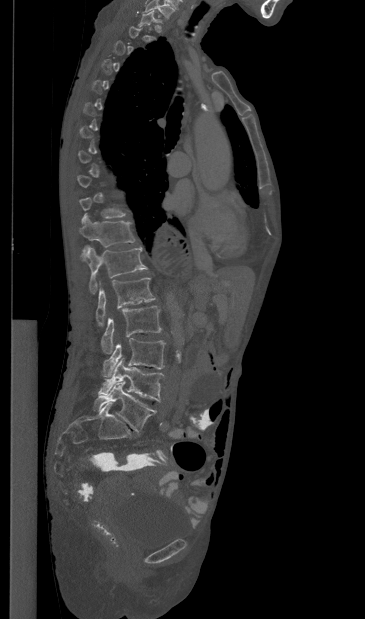 CT, spine. image width 365 mm. sagittal view. Each box given as x1,y1,x2,y2.
Not every vertebra on this slice has a box: a vertebra is boxed only from the first to the last slice where its cross-section is at least a third of its largest, and this slice is outside that range for at least one of them.
T11: x1=79, y1=213, x2=135, y2=260
T12: x1=88, y1=246, x2=147, y2=293
L1: x1=96, y1=278, x2=155, y2=326
L2: x1=101, y1=306, x2=161, y2=353
L3: x1=102, y1=338, x2=165, y2=377
L4: x1=99, y1=359, x2=163, y2=402
L5: x1=93, y1=382, x2=156, y2=432